Spine computed tomography; sagittal view; 232x233 px
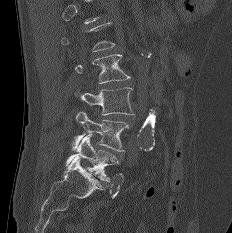
Coordinates as <box>x1,y1,x2,y2</box>.
Each vertebra is boxed only on the slices from the first to the last where its cross-section reaches a third of its largest, so a slice outside that range leaves it unboxed.
L2: <box>75,54,130,83</box>
L3: <box>74,87,134,115</box>
L4: <box>72,111,129,151</box>
L5: <box>66,134,118,181</box>